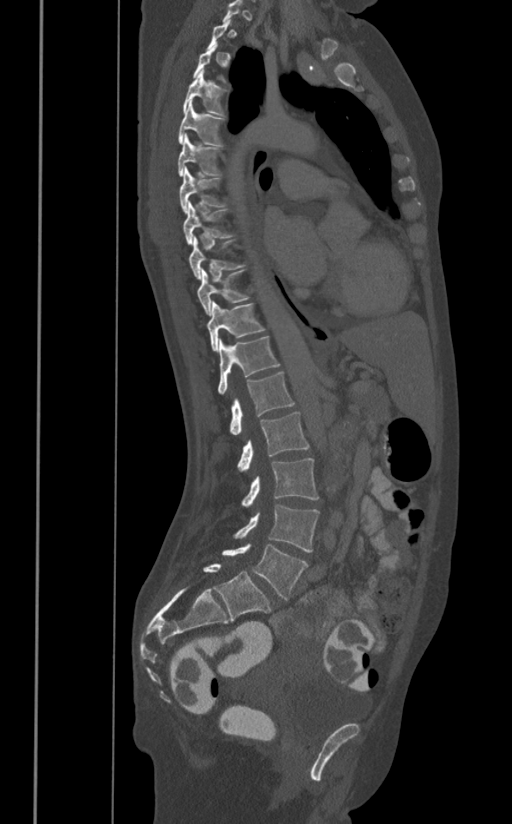 Spine computed tomography · sagittal reformat · bone window

Boxes: x1 y1 x2 y2 (pixel coords, space-separated).
Each vertebra is boxed only on the slices from the first to the last where its cross-section reaches a third of its largest, so a slice outside that range leaves it unboxed.
T4: 183 70 228 116
T5: 178 99 224 146
T6: 177 133 221 176
T7: 179 165 225 215
T8: 183 202 233 244
T9: 188 236 245 279
T10: 198 269 248 316
T11: 207 302 265 350
T12: 217 337 280 395
L1: 229 372 295 435
L2: 237 411 309 470
L3: 241 458 318 506
L4: 233 504 320 552
L5: 222 543 308 599